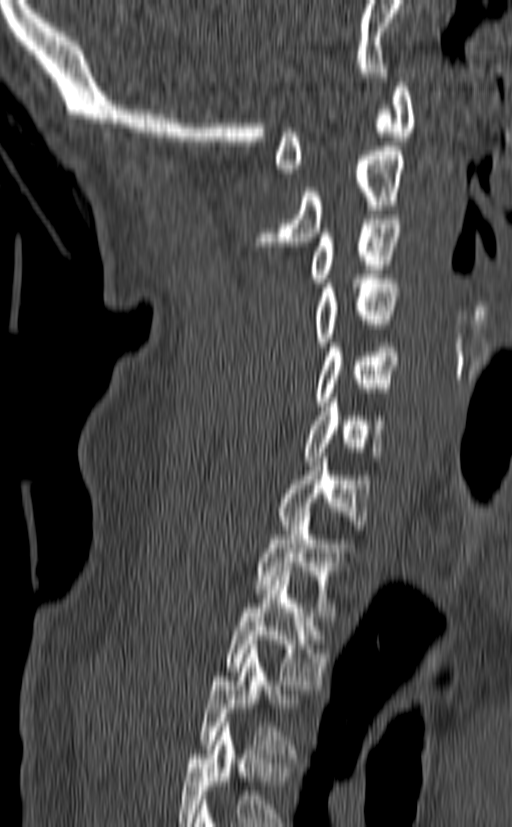
Computed tomography of the spine; sagittal view; bone-window reconstruction; 512x827 px. Boxes: x1 y1 x2 y2 (pixel coords, space-separated).
Labels in this scan begin with C1 at the top and end with T3 at the bottom.
Vertebra bounding boxes:
- T3: 200 645 295 758
- T2: 224 571 328 689
- T1: 256 512 356 616
- C7: 277 453 370 534
- C6: 303 398 384 461
- C5: 314 343 399 406
- C4: 312 274 399 346
- C3: 309 219 400 287
- C2: 253 146 406 246
- C1: 275 78 415 173